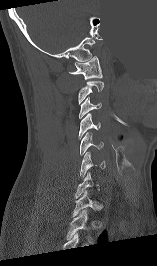 Spine computed tomography. image 157 mm wide. sagittal view. Bone window (WL 400, WW 1800). 157x266 px. a uniform gray block covers part of the image. Box edges are left/top/right/bottom in pixels.
A vertebra is boxed only from the first to the last slice where its cross-section is at least a third of its largest; slices outside that range leave it without a box.
C7: left=75, top=172, right=100, bottom=198
C6: left=80, top=152, right=105, bottom=177
C5: left=80, top=132, right=103, bottom=155
C4: left=78, top=113, right=100, bottom=139
C3: left=79, top=96, right=101, bottom=118
C2: left=78, top=81, right=104, bottom=103
C1: left=69, top=56, right=102, bottom=79